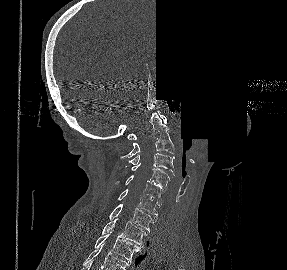 CT, spine; sagittal view; 287 mm wide; a portion of the image is blanked out (constant pixel value)
Each vertebra maps to its box as [x1, y1, x2, y2], the pixel coordinates of its top-left and bottom-right corners.
{"vertebrae":{"C1":[127,111,166,139],"C2":[119,113,174,158],"C3":[127,153,174,175],"C4":[131,163,170,190],"C5":[115,175,164,205],"C6":[117,189,160,218],"C7":[109,204,156,231],"T1":[101,218,147,247],"T2":[95,230,140,262]}}